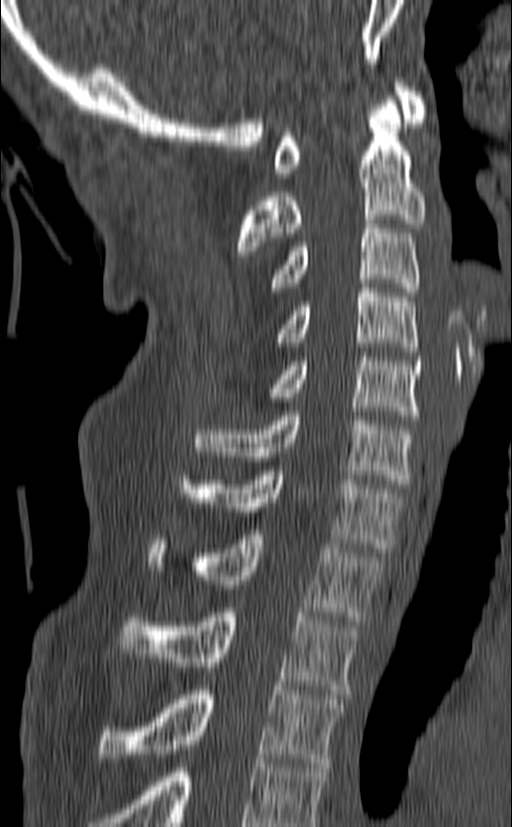 CT — sagittal view — bone window — 512x827 px
Boxes are (x1, y1, x2, y2) in pixels.
This scan's labels start at C1 at the top and end at T3 at the bottom.
T3: (100, 686, 344, 767)
T2: (119, 608, 359, 694)
T1: (148, 530, 381, 621)
C7: (179, 466, 403, 552)
C6: (195, 411, 414, 488)
C5: (268, 352, 421, 420)
C4: (276, 283, 417, 351)
C3: (270, 219, 419, 296)
C2: (237, 96, 425, 255)
C1: (274, 78, 427, 177)